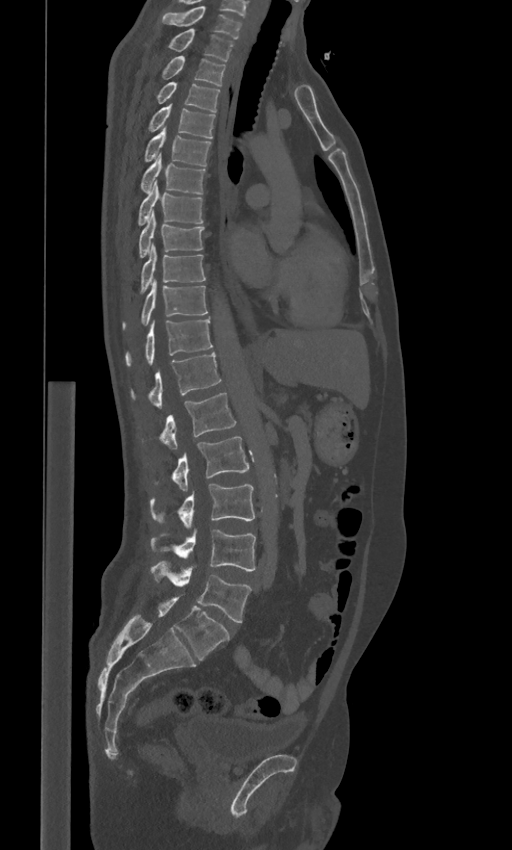
CT, spine. sagittal view. 512x850 px
Box values are [left, top, right, bottom] in pixels.
These labels give the spine a sixth lumbar vertebra, L6, below L5.
{"vertebrae":{"L6":[156,597,229,660],"L5":[150,561,251,622],"L4":[150,529,255,570],"L3":[150,484,254,527],"L2":[152,436,249,491],"L1":[141,393,236,449],"T12":[131,352,221,409],"T11":[125,318,213,366],"T10":[122,281,208,330],"T9":[140,245,206,293],"T8":[139,213,203,258],"T7":[137,182,203,226],"T6":[141,154,205,194],"T5":[143,128,210,165],"T4":[148,104,215,138],"T3":[156,81,220,111],"T2":[161,56,225,86],"T1":[166,28,234,60],"C7":[161,6,242,39]}}